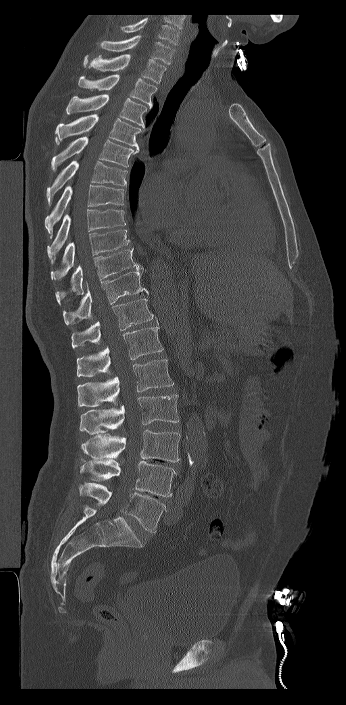
Computed tomography of the spine; sagittal reformat; Bone window (WL 400, WW 1800); 346x705 px; 346 mm across the image

Boxes are given in columns x1, y1, x2, y2, the pixel coordinates of their top-left and bottom-right corners.
This scan's labels start at C7 at the top and end at L6 at the bottom.
These labels give the spine a sixth lumbar vertebra, L6, below L5.
| vertebra | x1 | y1 | x2 | y2 |
|---|---|---|---|---|
| C7 | 99 | 35 | 174 | 64 |
| T1 | 83 | 53 | 166 | 83 |
| T2 | 78 | 74 | 157 | 108 |
| T3 | 66 | 94 | 150 | 128 |
| T4 | 55 | 114 | 143 | 149 |
| T5 | 51 | 136 | 139 | 170 |
| T6 | 46 | 160 | 127 | 205 |
| T7 | 45 | 185 | 125 | 238 |
| T8 | 47 | 209 | 125 | 264 |
| T9 | 51 | 230 | 129 | 280 |
| T10 | 54 | 248 | 143 | 305 |
| T11 | 63 | 272 | 148 | 325 |
| T12 | 71 | 298 | 158 | 348 |
| L1 | 77 | 326 | 163 | 376 |
| L2 | 77 | 359 | 173 | 407 |
| L3 | 79 | 394 | 179 | 434 |
| L4 | 81 | 430 | 180 | 462 |
| L5 | 80 | 460 | 177 | 496 |
| L6 | 79 | 483 | 166 | 533 |